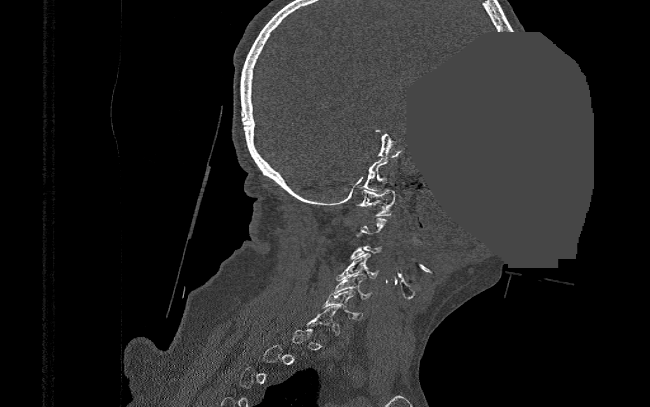
Spine CT. sagittal view. image 390 mm wide. a region is masked with a constant gray value

Box edges are left/top/right/bottom in pixels.
A vertebra gets a box only on the slices from the first to the last where its cross-section is at least a third of its largest; on a slice outside that range it gets none.
| vertebra | x1 | y1 | x2 | y2 |
|---|---|---|---|---|
| C1 | 357 | 190 | 395 | 216 |
| C4 | 335 | 253 | 379 | 280 |
| C5 | 329 | 274 | 372 | 299 |
| C6 | 322 | 289 | 362 | 319 |